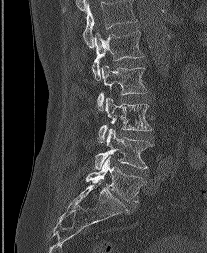

CT spine; sagittal reformat; bone window; 207x253 px. Each box given as x1,y1,x2,y2. In this scan, the topmost labeled vertebra is L1 and the lowest is L5. 5 vertebrae labeled — L1 at x1=92, y1=30, x2=143, y2=80; L2 at x1=97, y1=64, x2=147, y2=110; L3 at x1=97, y1=97, x2=152, y2=142; L4 at x1=94, y1=128, x2=152, y2=169; L5 at x1=86, y1=156, x2=145, y2=202.